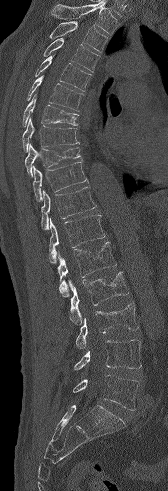
CT spine; sagittal view; W/L 1800/400 HU; 168x491 px; 168 mm across the image
Bounding boxes as [x1, y1, x2, y2] in pixel coordinates.
Vertebrae that run past the top of the scan are left unlabeled.
T3: [49, 21, 108, 52]
T4: [43, 38, 99, 72]
T5: [35, 55, 92, 91]
T6: [26, 76, 84, 111]
T7: [22, 94, 78, 126]
T8: [22, 117, 79, 152]
T9: [25, 144, 80, 176]
T10: [32, 162, 88, 201]
T11: [41, 187, 96, 229]
T12: [49, 215, 105, 263]
L1: [57, 241, 116, 296]
L2: [68, 271, 128, 325]
L3: [75, 303, 138, 349]
L4: [74, 340, 141, 370]
L5: [73, 375, 139, 410]